Spine computed tomography · Sagittal slice 233/512 · W/L 1800/400 HU · 512x591 px
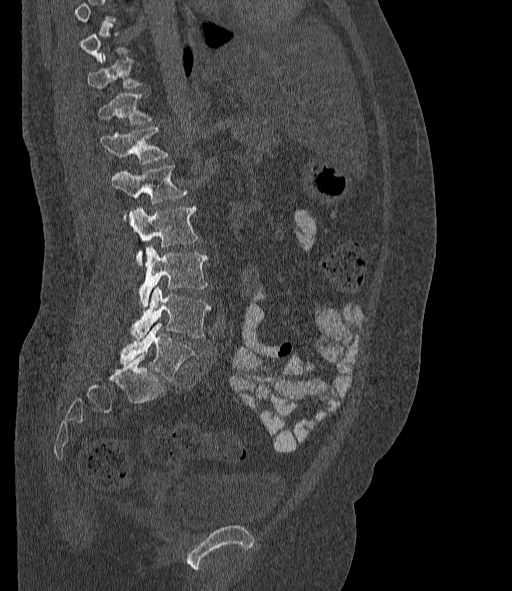 Columns x1, y1, x2, y2 give each box's top-left and bottom-right pixels.
A vertebra gets a box only on the slices from the first to the last where its cross-section is at least a third of its largest; on a slice outside that range it gets none.
In these labels the spine has an L6, a sixth lumbar vertebra below L5.
| vertebra | x1 | y1 | x2 | y2 |
|---|---|---|---|---|
| T11 | 88 | 54 | 144 | 89 |
| T12 | 96 | 92 | 152 | 124 |
| L1 | 100 | 126 | 169 | 163 |
| L2 | 111 | 164 | 188 | 220 |
| L3 | 130 | 206 | 198 | 265 |
| L4 | 138 | 246 | 208 | 307 |
| L5 | 130 | 287 | 211 | 339 |
| L6 | 121 | 323 | 194 | 382 |